CT. Sagittal slice 42/96. Bone window (WL 400, WW 1800)
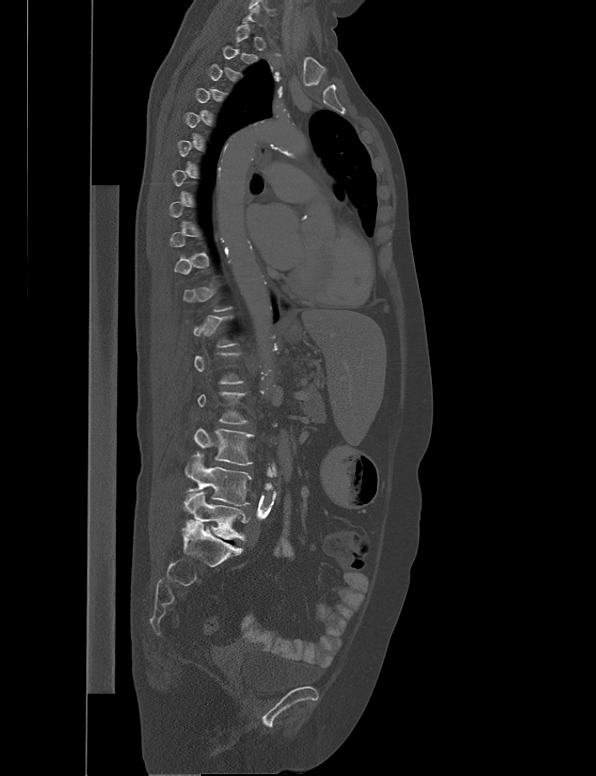 A vertebra is boxed only from the first to the last slice where its cross-section is at least a third of its largest; slices outside that range leave it without a box.
<vertebrae><v name="L3" x1="194" y1="428" x2="253" y2="464"/><v name="L4" x1="184" y1="451" x2="251" y2="506"/><v name="L5" x1="183" y1="491" x2="245" y2="540"/></vertebrae>